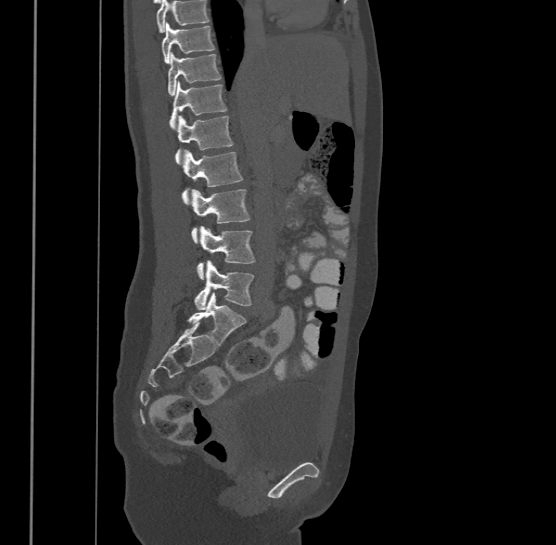

CT — sagittal view — image width 500 mm — Bone window (WL 400, WW 1800)

Boxes below are [x1, y1, x2, y2] in pixels.
A vertebra cut off by the top edge of the scan is not labeled and has no box.
The highest labeled vertebra in this scan is T9; the lowest is L4.
{"vertebrae":{"T9":[161,21,215,62],"T10":[168,51,220,94],"T11":[169,80,227,127],"T12":[176,114,232,163],"L1":[182,148,242,203],"L2":[191,188,250,242],"L3":[196,225,255,278],"L4":[194,260,253,310]}}